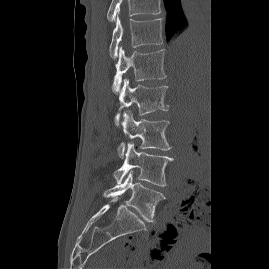
CT, spine · sagittal reformat · image width 269 mm

Boxes: x1 y1 x2 y2 (pixel coords, space-separated). Labels in this scan begin with T12 at the top and end with L5 at the bottom. 6 vertebrae labeled — T12 at 109 15 162 58; L1 at 112 46 166 93; L2 at 115 78 168 125; L3 at 117 111 171 157; L4 at 113 142 173 186; L5 at 103 170 165 224.